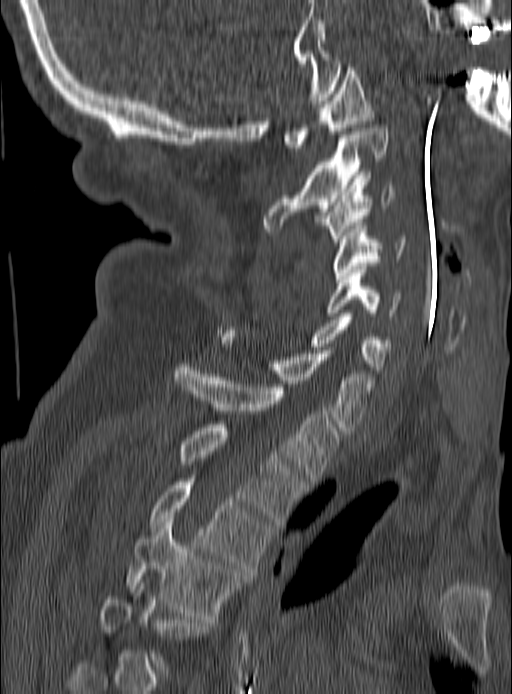

Spine computed tomography. sagittal view. 512x694 px
Box edges are left/top/right/bottom in pixels.
A vertebra is boxed only from the first to the last slice where its cross-section is at least a third of its largest; slices outside that range leave it without a box.
Vertebra bounding boxes:
- C1: left=284, top=64, right=373, bottom=151
- C2: left=262, top=125, right=388, bottom=231
- C3: left=319, top=175, right=394, bottom=245
- C4: left=332, top=222, right=405, bottom=282
- C5: left=327, top=269, right=402, bottom=316
- C6: left=248, top=313, right=391, bottom=370
- C7: left=219, top=333, right=374, bottom=430
- T1: left=173, top=364, right=339, bottom=484
- T2: left=179, top=424, right=304, bottom=524
- T3: left=149, top=482, right=269, bottom=572
- T4: left=128, top=519, right=242, bottom=619